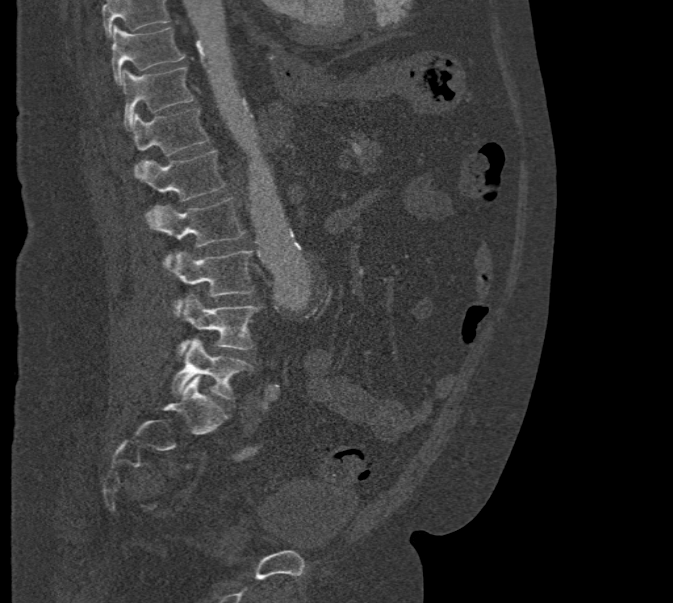
CT, spine · sagittal view · bone window · image width 471 mm · 673x603 px
Where the top of the scan cuts through a vertebra, that vertebra gets no label or box.
<vertebrae><v name="T10" x1="112" y1="25" x2="184" y2="84"/><v name="T11" x1="122" y1="68" x2="193" y2="128"/><v name="T12" x1="130" y1="108" x2="209" y2="155"/><v name="L1" x1="141" y1="150" x2="225" y2="201"/><v name="L2" x1="148" y1="198" x2="245" y2="268"/><v name="L3" x1="170" y1="250" x2="253" y2="309"/><v name="L4" x1="177" y1="293" x2="259" y2="355"/><v name="L5" x1="171" y1="338" x2="250" y2="399"/></vertebrae>